Computed tomography of the spine · sagittal view · 257x214 px · part of the image is constant black where the scan was masked
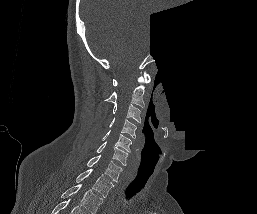

Each box given as x1,y1,x2,y2.
In this scan, the topmost labeled vertebra is C1 and the lowest is T1.
| vertebra | x1 | y1 | x2 | y2 |
|---|---|---|---|---|
| C1 | 113 | 71 | 150 | 86 |
| C2 | 104 | 71 | 147 | 108 |
| C3 | 112 | 102 | 141 | 122 |
| C4 | 109 | 117 | 136 | 138 |
| C5 | 101 | 130 | 131 | 151 |
| C6 | 96 | 141 | 128 | 165 |
| C7 | 87 | 155 | 122 | 182 |
| T1 | 75 | 169 | 114 | 197 |